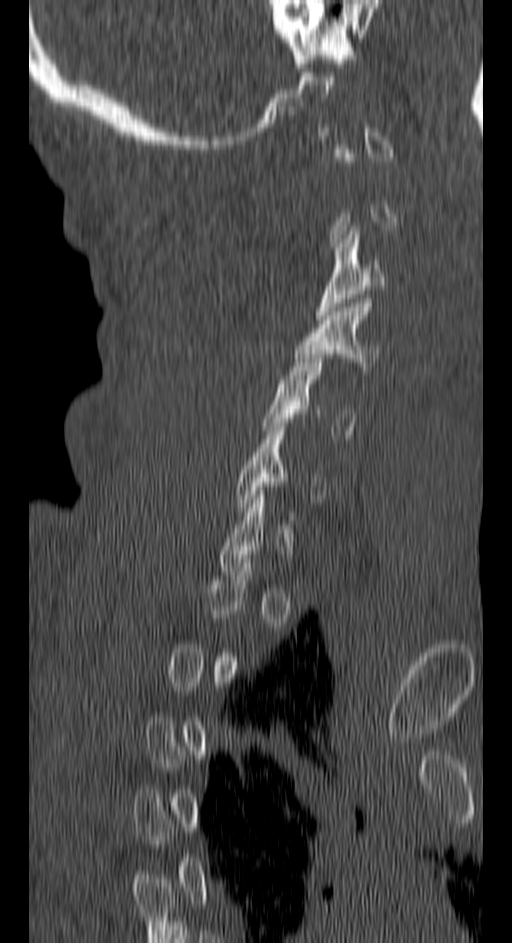

Spine CT. 150 mm wide. sagittal reformat. Bounding boxes as [x1, y1, x2, y2] in pixel coordinates.
Each vertebra is boxed only on the slices from the first to the last where its cross-section reaches a third of its largest, so a slice outside that range leaves it unboxed.
C5: [264, 354, 355, 434]
C4: [294, 299, 379, 370]
C3: [316, 226, 386, 319]